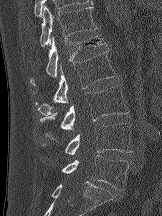 Spine computed tomography. 162 mm wide. sagittal view. 162x216 px

Bounding boxes as [x1, y1, x2, y2] in pixel coordinates.
L5: [61, 155, 129, 190]
L4: [64, 123, 132, 155]
L3: [40, 85, 128, 138]
L2: [35, 50, 117, 115]
L1: [30, 35, 106, 85]
T12: [40, 5, 98, 46]